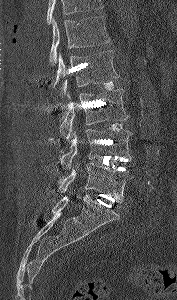
CT spine. sagittal view. W/L 1800/400 HU. 177x300 px. 177 mm image width
Each box given as x1,y1,x2,y2. No box is given to a vertebra that the top edge of the scan cuts off. The labeled vertebrae in this slice are: L1 at x1=49, y1=16, x2=110, y2=65, L2 at x1=52, y1=50, x2=119, y2=94, L3 at x1=59, y1=89, x2=129, y2=141, L4 at x1=60, y1=129, x2=133, y2=169, L5 at x1=59, y1=162, x2=134, y2=202.